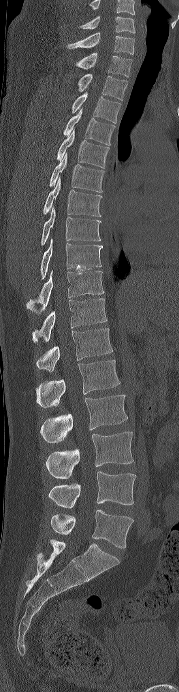
Spine computed tomography; sagittal view; 179x692 px
Each box given as x1,y1,x2,y2.
In this scan, the topmost labeled vertebra is C6 and the lowest is L5.
| vertebra | x1 | y1 | x2 | y2 |
|---|---|---|---|---|
| C6 | 80 | 16 | 135 | 33 |
| C7 | 67 | 32 | 134 | 54 |
| T1 | 76 | 53 | 132 | 77 |
| T2 | 78 | 74 | 127 | 100 |
| T3 | 71 | 92 | 120 | 123 |
| T4 | 63 | 108 | 114 | 145 |
| T5 | 56 | 129 | 109 | 168 |
| T6 | 49 | 153 | 104 | 192 |
| T7 | 43 | 177 | 101 | 216 |
| T8 | 41 | 207 | 101 | 245 |
| T9 | 40 | 238 | 102 | 277 |
| T10 | 26 | 270 | 104 | 314 |
| T11 | 32 | 298 | 107 | 341 |
| T12 | 36 | 328 | 112 | 371 |
| L1 | 36 | 360 | 120 | 407 |
| L2 | 40 | 394 | 127 | 442 |
| L3 | 45 | 432 | 133 | 478 |
| L4 | 48 | 471 | 135 | 508 |
| L5 | 51 | 510 | 133 | 548 |